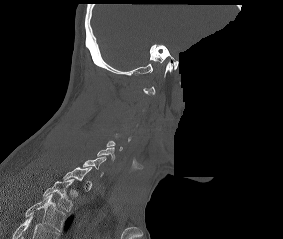

Spine computed tomography — sagittal view — bone-window reconstruction — 283x239 px — the image is 283 mm wide — some of the image was removed or blocked out with constant pixels

Each vertebra is boxed only on the slices from the first to the last where its cross-section reaches a third of its largest, so a slice outside that range leaves it unboxed.
This scan's labels start at C1 at the top and end at T2 at the bottom.
<vertebrae><v name="C6" x1="97" y1="147" x2="114" y2="161"/><v name="C7" x1="83" y1="156" x2="106" y2="176"/><v name="T2" x1="43" y1="179" x2="73" y2="210"/></vertebrae>